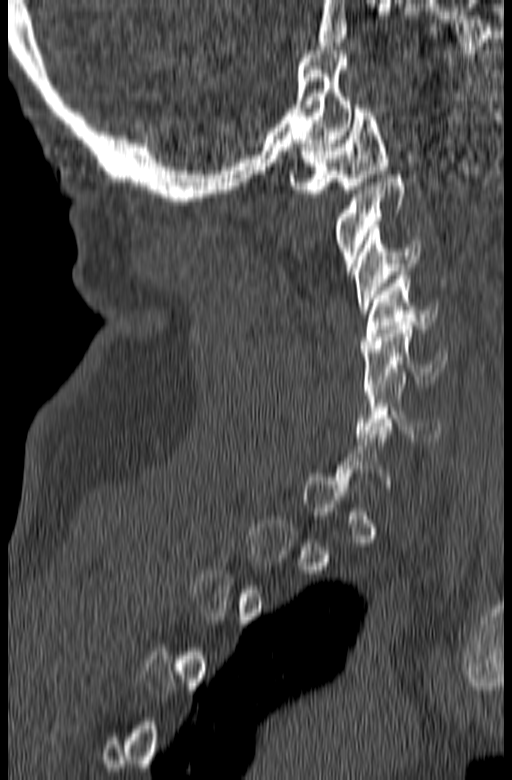
CT spine — sagittal view

Box edges are left/top/right/bottom in pixels.
A vertebra gets a box only on the slices from the first to the last where its cross-section is at least a third of its largest; on a slice outside that range it gets none.
C6: left=355, top=376, right=441, bottom=441
C5: left=362, top=322, right=446, bottom=391
C4: left=361, top=272, right=438, bottom=348
C3: left=352, top=225, right=419, bottom=313
C2: left=333, top=171, right=404, bottom=271
C1: left=290, top=105, right=388, bottom=197